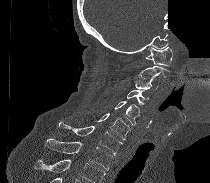 CT, spine — the image spans 210 mm across — sagittal reformat — a region of this slice is masked with a uniform fill
Vertebrae that run past the bottom of the scan are left unlabeled.
<vertebrae><v name="C1" x1="145" y1="46" x2="172" y2="66"/><v name="C2" x1="133" y1="66" x2="169" y2="78"/><v name="C3" x1="133" y1="78" x2="158" y2="89"/><v name="C4" x1="127" y1="88" x2="148" y2="105"/><v name="C5" x1="114" y1="101" x2="139" y2="125"/><v name="C6" x1="98" y1="113" x2="130" y2="140"/><v name="C7" x1="58" y1="122" x2="122" y2="155"/><v name="T1" x1="44" y1="139" x2="113" y2="170"/></vertebrae>